Spine CT. Sagittal slice 201/512. 512x747 px
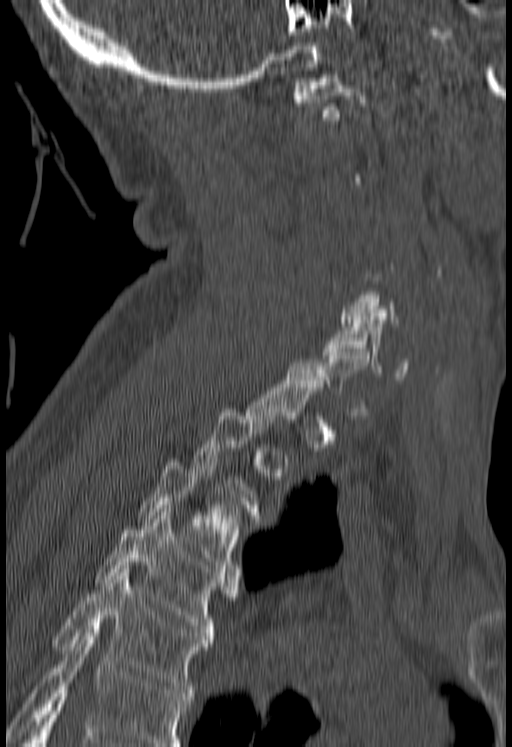
A vertebra is boxed only from the first to the last slice where its cross-section is at least a third of its largest; slices outside that range leave it without a box.
No box is given to a vertebra that the bottom edge of the scan cuts off.
<vertebrae><v name="T5" x1="52" y1="569" x2="213" y2="696"/><v name="T4" x1="95" y1="512" x2="239" y2="639"/><v name="T3" x1="137" y1="462" x2="245" y2="571"/><v name="C6" x1="323" y1="316" x2="409" y2="379"/><v name="C1" x1="292" y1="75" x2="367" y2="120"/></vertebrae>